Computed tomography of the spine. sagittal view. bone window. the image is 392 mm wide. 392x453 px
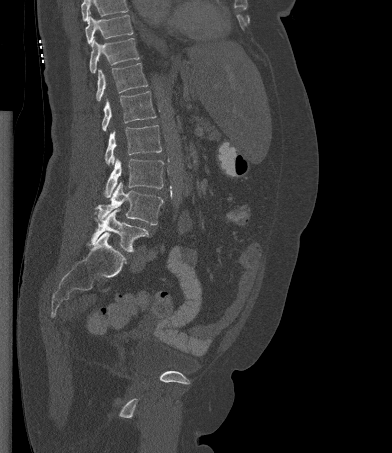 Bounding boxes as [x1, y1, x2, y2] in pixel coordinates. A vertebra cut off by the top edge of the scan is not labeled and has no box. Vertebrae labeled: T10 at [85, 15, 133, 45], T11 at [89, 38, 139, 73], T12 at [96, 63, 147, 101], L1 at [102, 91, 156, 131], L2 at [105, 125, 161, 165], L3 at [104, 158, 163, 197], L4 at [96, 182, 163, 225], L5 at [90, 209, 148, 252].